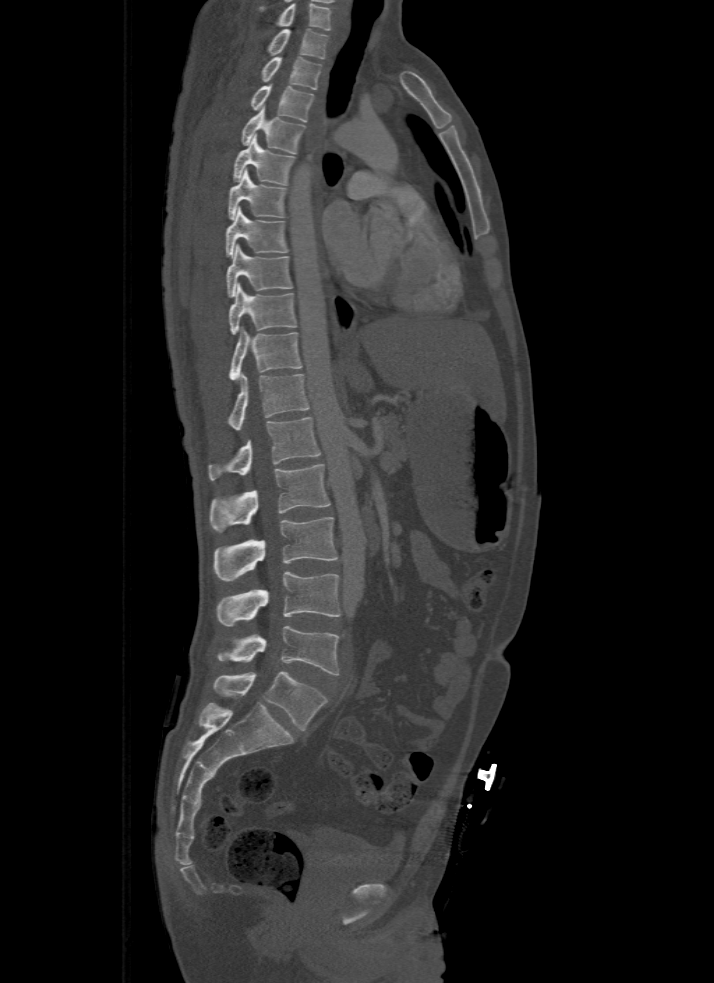
Spine computed tomography · sagittal view · 714x983 px · image width 500 mm. Bounding boxes as [x1, y1, x2, y2] in pixel coordinates. In this scan, the topmost labeled vertebra is T1 and the lowest is L5. Vertebrae labeled: T1 at [268, 29, 328, 58], T2 at [261, 56, 321, 89], T3 at [250, 83, 313, 121], T4 at [241, 106, 305, 152], T5 at [233, 135, 295, 185], T6 at [229, 168, 286, 219], T7 at [226, 206, 288, 257], T8 at [226, 245, 292, 297], T9 at [229, 283, 296, 334], T10 at [229, 326, 302, 381], T11 at [229, 372, 309, 429], T12 at [208, 418, 320, 479], L1 at [211, 463, 331, 531], L2 at [215, 518, 338, 581], L3 at [216, 572, 341, 627], L4 at [218, 626, 339, 675], L5 at [213, 672, 328, 729].